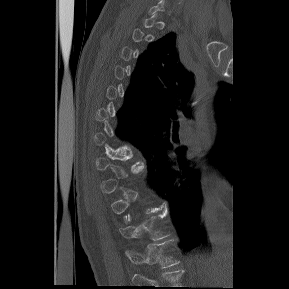

Spine computed tomography · sagittal view · 289x289 px

Box values are [left, top, right, bottom] in pixels.
A vertebra gets a box only on the slices from the first to the last where its cross-section is at least a third of its largest; on a slice outside that range it gets none.
Labels in this scan begin with T1 at the top and end with T12 at the bottom.
{"vertebrae":{"T11":[119,204,169,240],"T12":[125,239,180,268]}}